Spine computed tomography; sagittal view; bone-window reconstruction
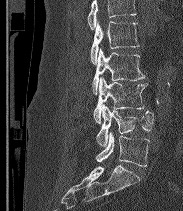

Boxes: x1 y1 x2 y2 (pixel coords, space-separated).
Where the top of the scan cuts through a vertebra, that vertebra gets no label or box.
These labels give the spine a sixth lumbar vertebra, L6, below L5.
Vertebra bounding boxes:
- L2: 90 20 139 64
- L3: 92 48 145 94
- L4: 93 77 147 123
- L5: 96 105 153 147
- L6: 96 132 149 166